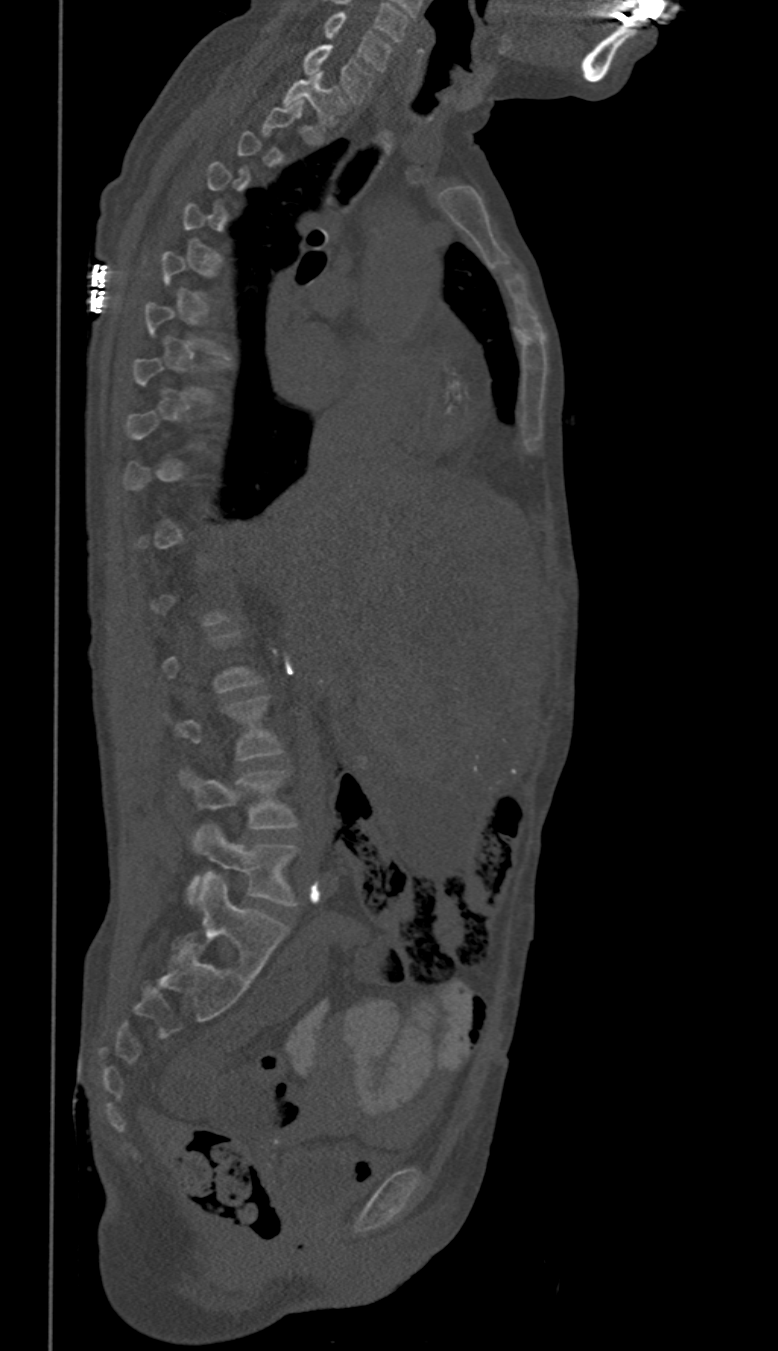

Spine CT. the image spans 350 mm across. sagittal reformat

Each box given as x1,y1,x2,y2.
Not every vertebra on this slice has a box: a vertebra is boxed only from the first to the last slice where its cross-section is at least a third of its largest, and this slice is outside that range for at least one of them.
C6: x1=324, y1=12, x2=392, y2=71
C7: x1=304, y1=45, x2=374, y2=102
T1: x1=283, y1=72, x2=347, y2=126
L3: x1=164, y1=696, x2=283, y2=759
L4: x1=179, y1=767, x2=297, y2=828
L5: x1=188, y1=823, x2=298, y2=906